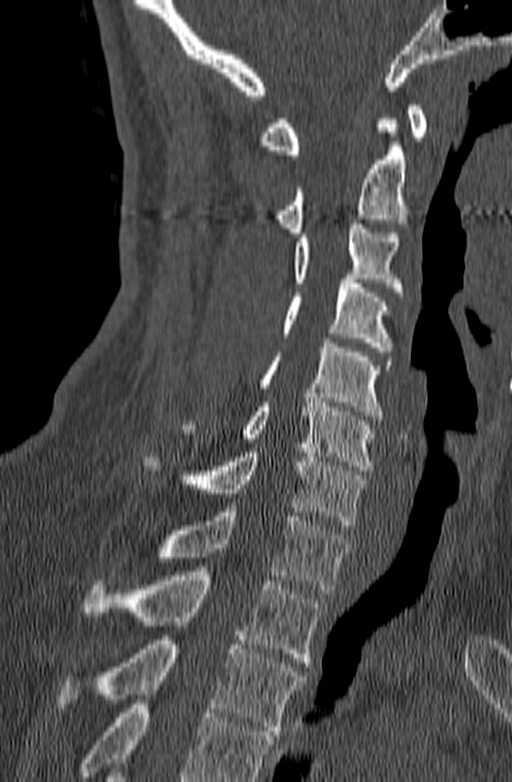
Spine computed tomography. sagittal reformat. bone-window reconstruction
Each row gives a vertebra's box as x1, y1, x2, y2 in pixels: top-left corner, then bottom-right corner.
No box is given to a vertebra that the bottom edge of the scan cuts off.
| vertebra | x1 | y1 | x2 | y2 |
|---|---|---|---|---|
| C1 | 260 | 105 | 427 | 159 |
| C2 | 276 | 119 | 406 | 237 |
| C3 | 294 | 219 | 403 | 296 |
| C4 | 281 | 279 | 392 | 351 |
| C5 | 259 | 338 | 392 | 420 |
| C6 | 180 | 398 | 376 | 470 |
| C7 | 142 | 448 | 366 | 529 |
| T1 | 158 | 507 | 351 | 593 |
| T2 | 83 | 571 | 322 | 662 |
| T3 | 58 | 640 | 305 | 735 |